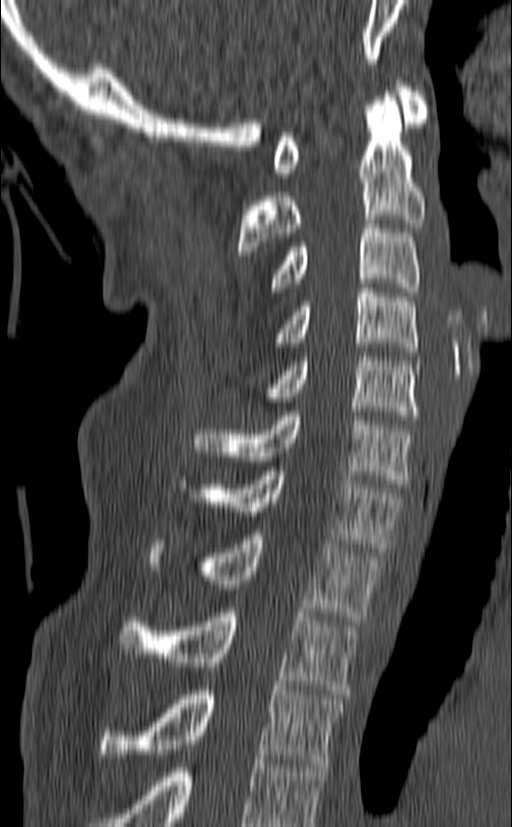
Spine CT; sagittal view; the image spans 140 mm across; 512x827 px
The highest labeled vertebra in this scan is C1; the lowest is T3.
<vertebrae><v name="T3" x1="100" y1="686" x2="344" y2="767"/><v name="T2" x1="119" y1="608" x2="359" y2="694"/><v name="T1" x1="148" y1="530" x2="381" y2="621"/><v name="C7" x1="180" y1="466" x2="403" y2="552"/><v name="C6" x1="195" y1="411" x2="414" y2="488"/><v name="C5" x1="262" y1="352" x2="421" y2="420"/><v name="C4" x1="276" y1="283" x2="417" y2="356"/><v name="C3" x1="270" y1="219" x2="419" y2="296"/><v name="C2" x1="238" y1="96" x2="425" y2="255"/><v name="C1" x1="273" y1="78" x2="428" y2="177"/></vertebrae>